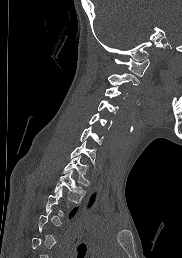 Spine computed tomography — sagittal view. Boxes: x1 y1 x2 y2 (pixel coords, space-separated). Not every vertebra on this slice has a box: a vertebra is boxed only from the first to the last slice where its cross-section is at least a third of its largest, and this slice is outside that range for at least one of them. Vertebrae labeled: T3 at 45 188 66 217, T2 at 54 170 85 202, T1 at 61 155 90 185, C7 at 70 140 95 165, C6 at 80 126 103 144, C5 at 89 113 112 128, C4 at 98 100 118 112, C3 at 105 86 127 98, C2 at 108 73 138 85, C1 at 114 57 149 76.